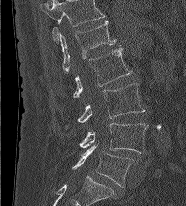
CT spine · 186 mm wide · sagittal reformat · bone-window reconstruction · 186x206 px
This scan's labels start at L1 at the top and end at L5 at the bottom.
<vertebrae><v name="L5" x1="72" y1="144" x2="133" y2="187"/><v name="L4" x1="79" y1="123" x2="149" y2="154"/><v name="L3" x1="77" y1="83" x2="144" y2="122"/><v name="L2" x1="73" y1="48" x2="132" y2="98"/><v name="L1" x1="60" y1="20" x2="115" y2="72"/></vertebrae>